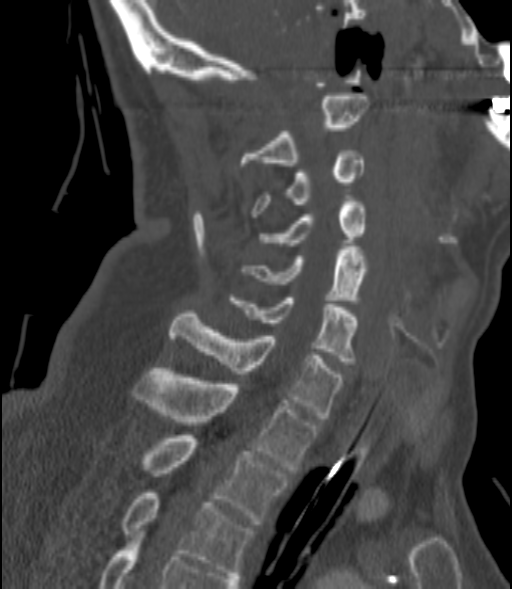

CT spine · 200 mm across the image · sagittal view
Each box is [x1, y1, x2, y2] in pixels: top-left corner, then bottom-right corner.
{"vertebrae":{"C2":[239,96,368,169],"C3":[251,150,363,217],"C4":[259,198,366,245],"C5":[244,250,366,300],"C6":[231,298,358,364],"C7":[170,314,343,418],"T1":[134,368,317,469],"T2":[139,435,287,524],"T3":[121,493,253,578]}}